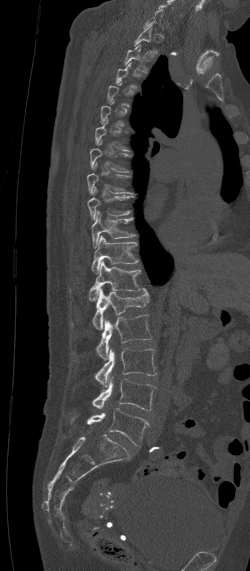

Computed tomography of the spine — sagittal view — 250 mm image width
Each vertebra is boxed only on the slices from the first to the last where its cross-section reaches a third of its largest, so a slice outside that range leaves it unboxed.
<vertebrae><v name="T2" x1="124" y1="44" x2="147" y2="73"/><v name="T8" x1="87" y1="163" x2="132" y2="194"/><v name="T9" x1="87" y1="188" x2="130" y2="219"/><v name="T10" x1="91" y1="211" x2="134" y2="248"/><v name="T11" x1="91" y1="236" x2="138" y2="274"/><v name="T12" x1="69" y1="260" x2="141" y2="301"/><v name="L1" x1="92" y1="288" x2="149" y2="330"/><v name="L2" x1="95" y1="314" x2="152" y2="359"/><v name="L3" x1="95" y1="348" x2="156" y2="386"/><v name="L4" x1="71" y1="376" x2="156" y2="410"/><v name="L5" x1="71" y1="408" x2="150" y2="445"/></vertebrae>